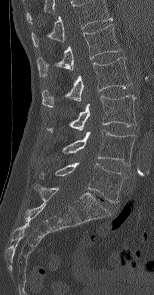

Computed tomography of the spine; sagittal view; Bone window (WL 400, WW 1800); 154 mm wide
Box values are [left, top, right, bottom] in pixels.
The highest labeled vertebra in this scan is L1; the lowest is L5.
{"vertebrae":{"L1":[37,24,121,76],"L2":[42,57,131,107],"L3":[47,95,136,133],"L4":[63,130,135,165],"L5":[39,163,127,202]}}